Spine CT · sagittal view · the image spans 500 mm across
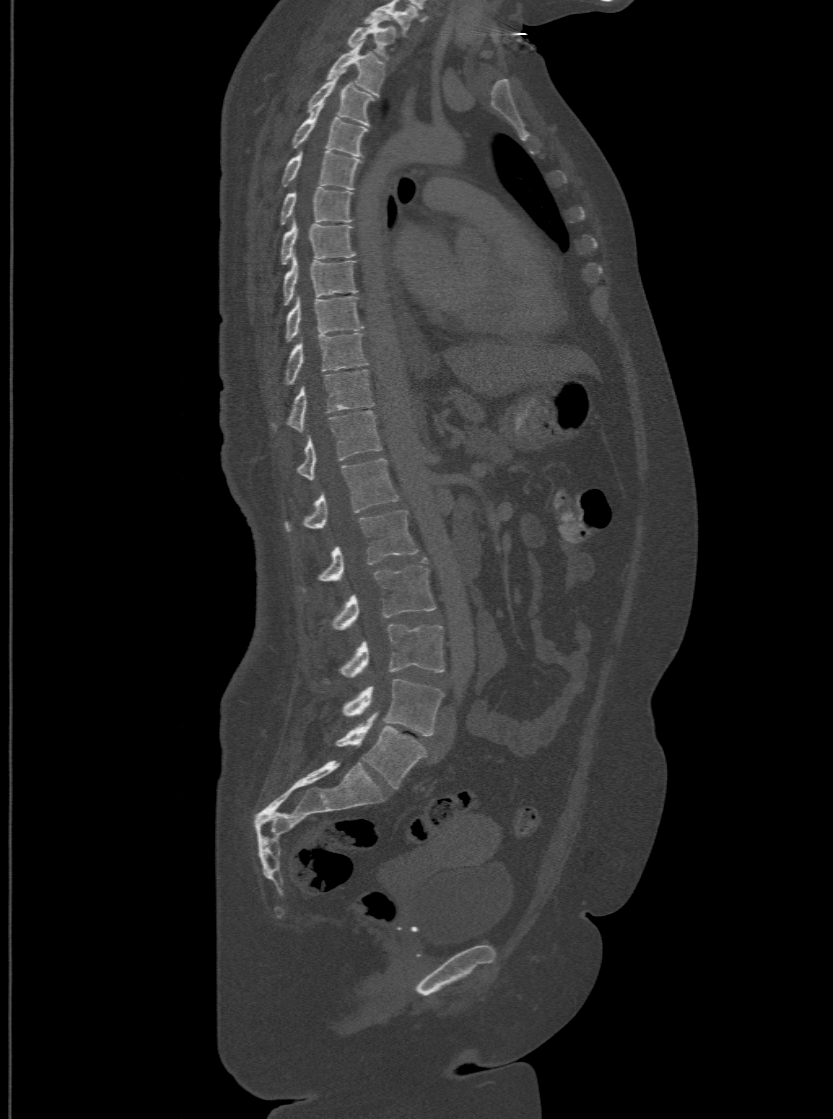

Boxes: x1 y1 x2 y2 (pixel coords, space-separated).
Labels in this scan begin with T1 at the top and end with L6 at the bottom.
The labels name a sixth lumbar vertebra for this spine: L6, after L5.
T1: 347 20 396 57
T2: 327 42 386 94
T3: 306 73 373 124
T4: 291 108 367 156
T5: 282 148 360 187
T6: 280 187 352 224
T7: 280 222 355 264
T8: 282 255 357 304
T9: 285 295 362 341
T10: 283 332 365 384
T11: 270 368 373 429
T12: 296 410 380 479
L1: 283 457 398 531
L2: 299 508 417 592
L3: 329 558 435 628
L4: 324 624 443 682
L5: 342 679 443 735
L6: 337 714 425 788